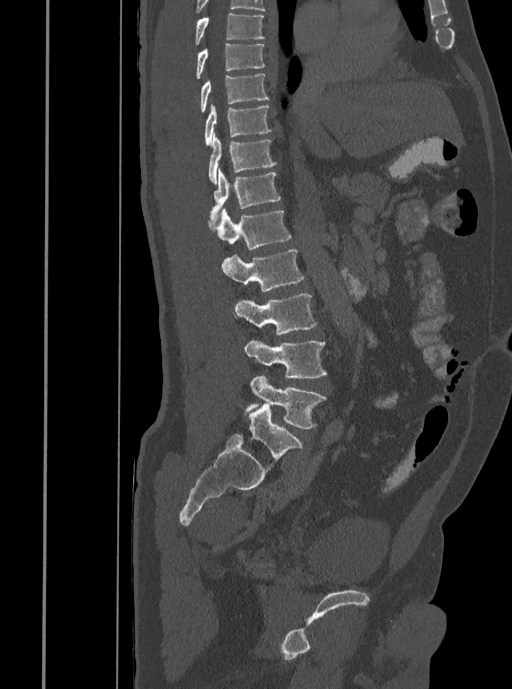

Spine computed tomography; sagittal reformat; bone-window reconstruction
Each box is [x1, y1, x2, y2] in pixels: top-left corner, then bottom-right corner.
{"vertebrae":{"T7":[194,12,264,45],"T8":[196,43,265,79],"T9":[199,73,269,112],"T10":[204,104,271,146],"T11":[208,133,276,183],"T12":[209,168,281,226],"L1":[216,209,291,249],"L2":[222,250,304,292],"L3":[235,293,318,334],"L4":[245,339,326,378],"L5":[245,375,326,428]}}